Spine computed tomography · sagittal plane, index 222 · bone-window reconstruction · 527x755 px
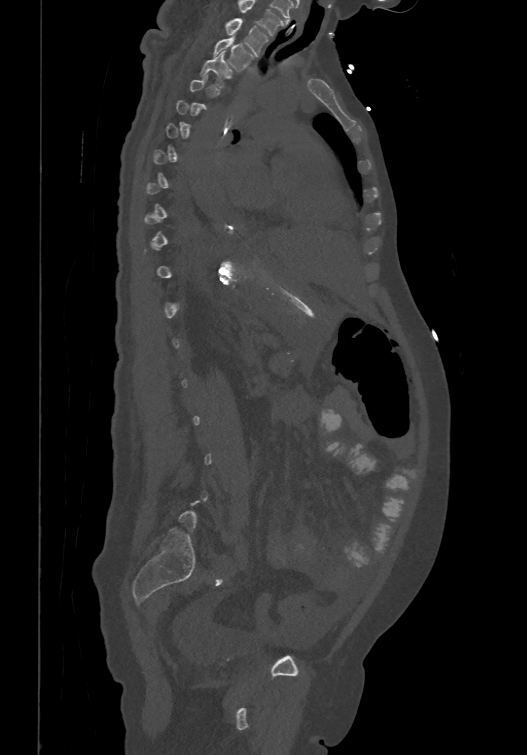
Bounding boxes as [x1, y1, x2, y2] in pixel coordinates.
Each vertebra is boxed only on the slices from the first to the last where its cross-section reaches a third of its largest, so a slice outside that range leaves it unboxed.
The highest labeled vertebra in this scan is T1; the lowest is L6.
T1: [225, 18, 267, 55]
T2: [213, 36, 254, 71]
T3: [200, 51, 231, 85]